CT · sagittal plane, index 82 · 512x1190 px · a portion of the image is blanked out (constant pixel value)
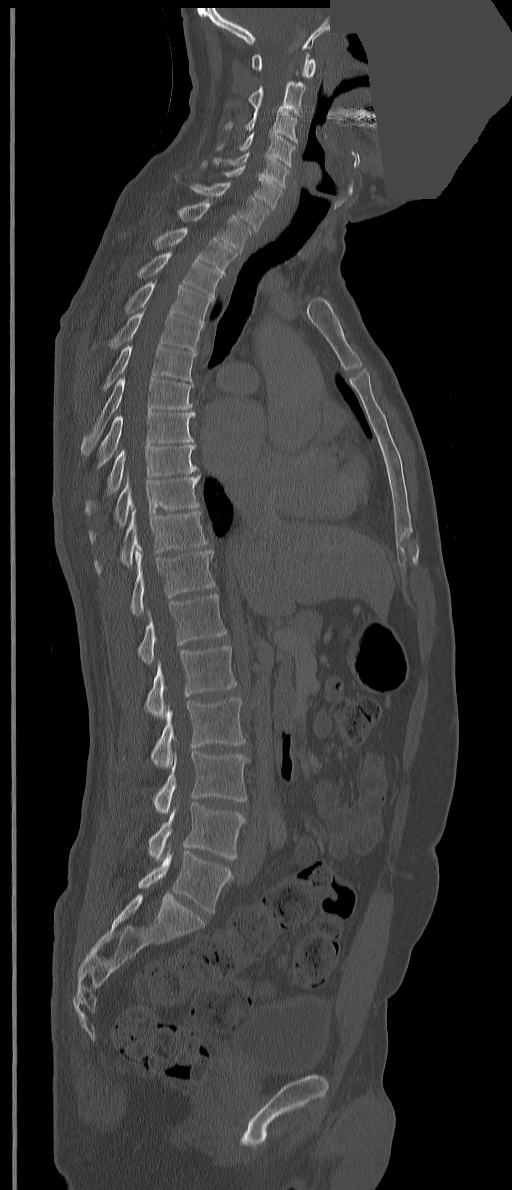
Each box given as x1,y1,x2,y2.
These labels give the spine a thirteenth thoracic vertebra: T13 sits between T12 and L1.
L5: x1=139, y1=850, x2=231, y2=912
L4: x1=148, y1=802, x2=246, y2=861
L3: x1=153, y1=751, x2=249, y2=813
L2: x1=150, y1=697, x2=246, y2=768
L1: x1=145, y1=645, x2=237, y2=718
T13: x1=137, y1=594, x2=227, y2=664
T12: x1=130, y1=550, x2=215, y2=616
T11: x1=94, y1=507, x2=208, y2=574
T10: x1=89, y1=476, x2=199, y2=542
T9: x1=85, y1=445, x2=200, y2=514
T8: x1=97, y1=411, x2=195, y2=469
T7: x1=80, y1=377, x2=192, y2=456
T6: x1=102, y1=344, x2=195, y2=390
T5: x1=109, y1=307, x2=203, y2=355
T4: x1=124, y1=282, x2=212, y2=324
T3: x1=137, y1=251, x2=221, y2=298
T2: x1=153, y1=227, x2=237, y2=275
T1: x1=178, y1=200, x2=252, y2=252
C7: x1=189, y1=182, x2=269, y2=231
C6: x1=201, y1=161, x2=282, y2=210
C5: x1=212, y1=152, x2=288, y2=188
C4: x1=217, y1=132, x2=295, y2=166
C3: x1=224, y1=107, x2=297, y2=144
C2: x1=248, y1=71, x2=306, y2=114
C1: x1=251, y1=53, x2=316, y2=78